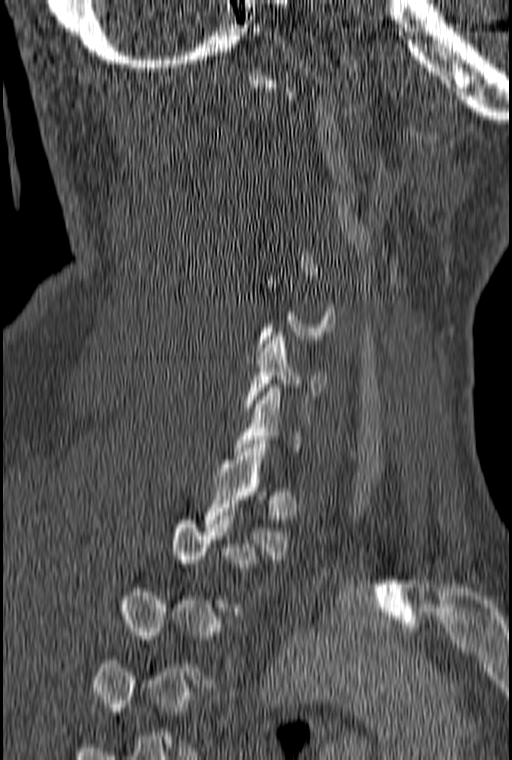 CT, spine. 160 mm across the image. sagittal view. bone-window reconstruction

Coordinates as <box>x1,y1,x2,y2</box>. Not every vertebra on this slice has a box: a vertebra is boxed only from the first to the last slice where its cross-section is at least a third of its largest, and this slice is outside that range for at least one of them. Vertebrae labeled: T1 at <box>203,444,289,559</box>, C6 at <box>245,332,327,411</box>.